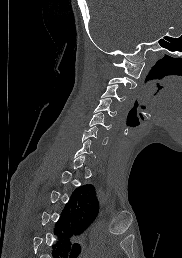
Computed tomography of the spine · sagittal reformat
Each vertebra is boxed only on the slices from the first to the last where its cross-section reaches a third of its largest, so a slice outside that range leaves it unboxed.
<vertebrae><v name="C1" x1="113" y1="58" x2="145" y2="78"/><v name="C2" x1="108" y1="76" x2="136" y2="88"/><v name="C3" x1="101" y1="84" x2="125" y2="101"/><v name="C4" x1="94" y1="98" x2="116" y2="116"/><v name="C5" x1="89" y1="112" x2="111" y2="129"/><v name="C6" x1="82" y1="126" x2="107" y2="143"/><v name="C7" x1="74" y1="139" x2="92" y2="157"/></vertebrae>